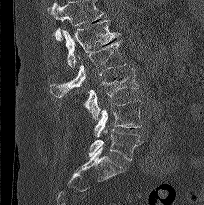 CT, spine · image 204 mm wide · sagittal view · 204x205 px. Box edges are left/top/right/bottom in pixels.
A vertebra cut off by the top edge of the scan is not labeled and has no box.
Vertebra bounding boxes:
- L5: left=89, top=127, right=142, bottom=160
- L4: left=94, top=100, right=142, bottom=136
- L3: left=83, top=68, right=138, bottom=119
- L2: left=50, top=39, right=126, bottom=97
- L1: left=62, top=20, right=120, bottom=68